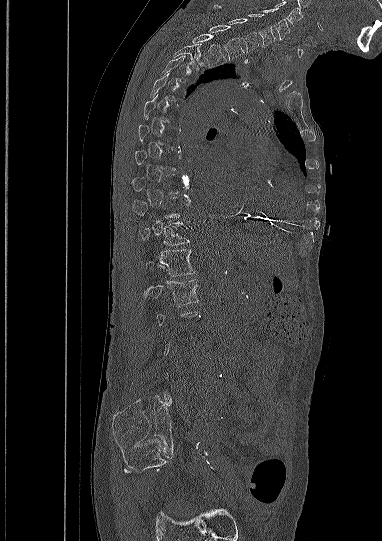
Spine CT — sagittal view — Bone window (WL 400, WW 1800)
Each vertebra is boxed only on the slices from the first to the last where its cross-section reaches a third of its largest, so a slice outside that range leaves it unboxed.
<vertebrae><v name="C5" x1="259" y1="8" x2="289" y2="39"/><v name="C6" x1="248" y1="13" x2="275" y2="47"/><v name="C7" x1="214" y1="4" x2="258" y2="53"/><v name="T1" x1="208" y1="25" x2="244" y2="60"/><v name="T2" x1="192" y1="34" x2="226" y2="66"/><v name="T3" x1="174" y1="44" x2="203" y2="71"/><v name="T5" x1="150" y1="73" x2="183" y2="105"/><v name="T6" x1="143" y1="95" x2="177" y2="125"/><v name="T10" x1="132" y1="197" x2="180" y2="218"/><v name="T11" x1="139" y1="222" x2="189" y2="245"/><v name="T12" x1="145" y1="249" x2="194" y2="276"/><v name="L1" x1="145" y1="279" x2="198" y2="306"/></vertebrae>